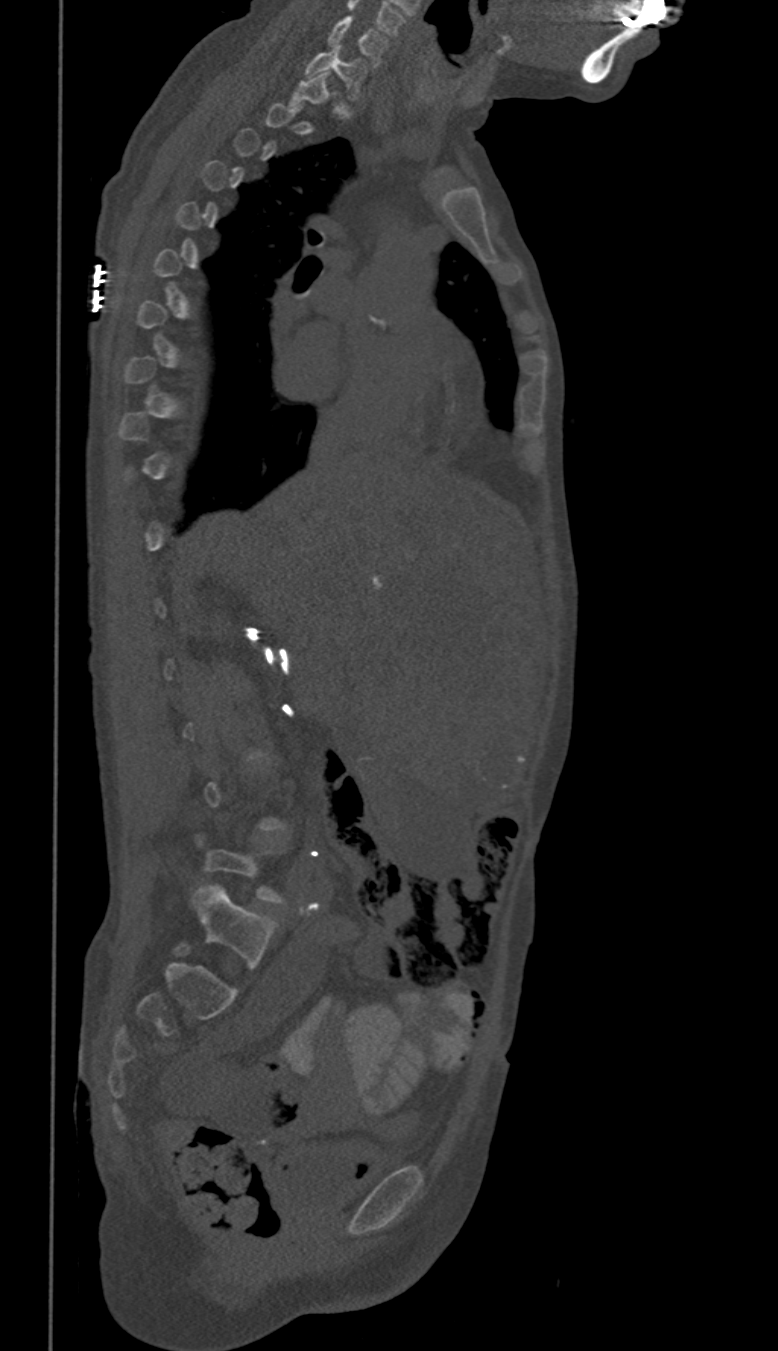 Spine computed tomography. sagittal reformat. 778x1351 px

Box edges are left/top/right/bottom in pixels.
Not every vertebra on this slice has a box: a vertebra is boxed only from the first to the last slice where its cross-section is at least a third of its largest, and this slice is outside that range for at least one of them.
C7: left=307, top=47, right=365, bottom=99
C6: left=327, top=16, right=388, bottom=66